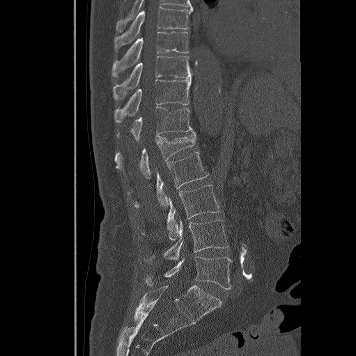
CT. sagittal view. bone window

<vertebrae><v name="T8" x1="114" y1="6" x2="193" y2="50"/><v name="T9" x1="112" y1="31" x2="188" y2="77"/><v name="T10" x1="113" y1="56" x2="193" y2="99"/><v name="T11" x1="114" y1="78" x2="191" y2="122"/><v name="T12" x1="117" y1="106" x2="194" y2="141"/><v name="L1" x1="114" y1="133" x2="195" y2="178"/><v name="L2" x1="134" y1="152" x2="208" y2="208"/><v name="L3" x1="142" y1="184" x2="219" y2="240"/><v name="L4" x1="144" y1="218" x2="228" y2="263"/><v name="L5" x1="145" y1="257" x2="233" y2="289"/></vertebrae>